Spine computed tomography; Sagittal slice 67/197; scan covers 9 annotated vertebrae; 197 mm wide; a region is blanked to uniform black, ending in a straight edge
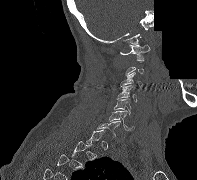

A vertebra gets a box only on the slices from the first to the last where its cross-section is at least a third of its largest; on a slice outside that range it gets none.
<vertebrae><v name="C1" x1="120" y1="44" x2="151" y2="62"/><v name="C3" x1="120" y1="72" x2="143" y2="87"/><v name="C4" x1="116" y1="85" x2="136" y2="101"/><v name="C5" x1="114" y1="99" x2="131" y2="114"/><v name="C6" x1="108" y1="110" x2="134" y2="130"/><v name="C7" x1="97" y1="121" x2="120" y2="136"/></vertebrae>